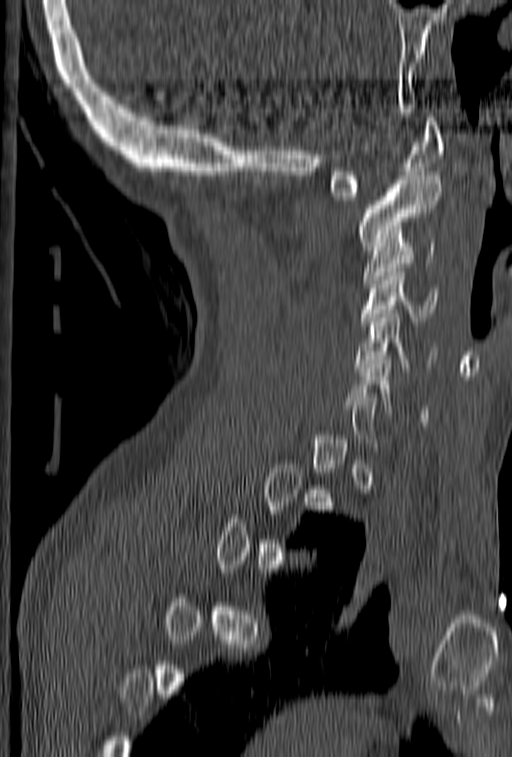 Spine CT — sagittal view

A vertebra gets a box only on the slices from the first to the last where its cross-section is at least a third of its largest; on a slice outside that range it gets none.
<vertebrae><v name="C6" x1="349" y1="356" x2="428" y2="421"/><v name="C5" x1="356" y1="301" x2="438" y2="371"/><v name="C4" x1="359" y1="264" x2="439" y2="325"/><v name="C3" x1="363" y1="238" x2="435" y2="283"/><v name="C2" x1="356" y1="172" x2="442" y2="250"/><v name="C1" x1="327" y1="117" x2="444" y2="200"/></vertebrae>